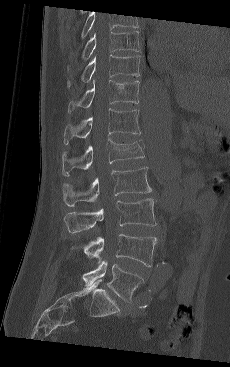 CT — sagittal view — the image spans 230 mm across — 230x367 px
In this scan, the topmost labeled vertebra is T9 and the lowest is L5.
<vertebrae><v name="L5" x1="82" y1="261" x2="144" y2="302"/><v name="L4" x1="71" y1="234" x2="156" y2="266"/><v name="L3" x1="64" y1="198" x2="156" y2="232"/><v name="L2" x1="62" y1="167" x2="151" y2="206"/><v name="L1" x1="62" y1="138" x2="144" y2="176"/><v name="T12" x1="64" y1="108" x2="140" y2="144"/><v name="T11" x1="68" y1="80" x2="139" y2="113"/><v name="T10" x1="67" y1="55" x2="141" y2="88"/><v name="T9" x1="67" y1="31" x2="140" y2="71"/></vertebrae>